Computed tomography of the spine. sagittal plane, index 258. image 360 mm wide. 576x488 px
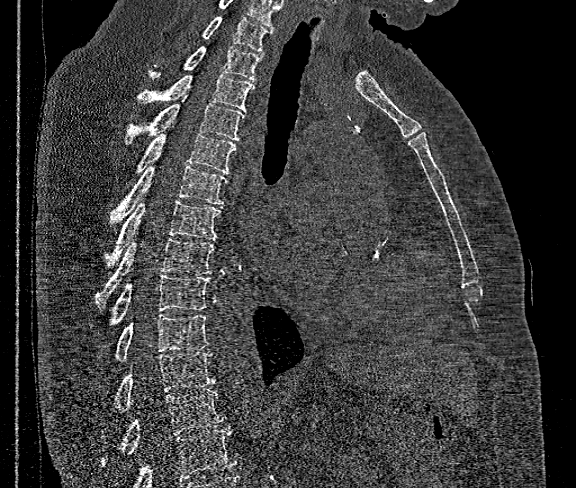 Each vertebra maps to its box as [x1, y1, x2, y2], the pixel coordinates of its top-left and bottom-right corners.
Vertebrae that run past the bottom of the scan are left unlabeled.
In this scan, the topmost labeled vertebra is T1 and the lowest is T12.
{"vertebrae":{"T12":[102,389,226,465],"T11":[114,352,215,411],"T10":[115,314,207,361],"T9":[108,274,210,326],"T8":[96,239,213,307],"T7":[107,200,221,267],"T6":[110,165,226,225],"T5":[136,133,235,174],"T4":[125,96,243,143],"T3":[137,70,254,111],"T2":[148,47,262,81],"T1":[201,16,272,52]}}